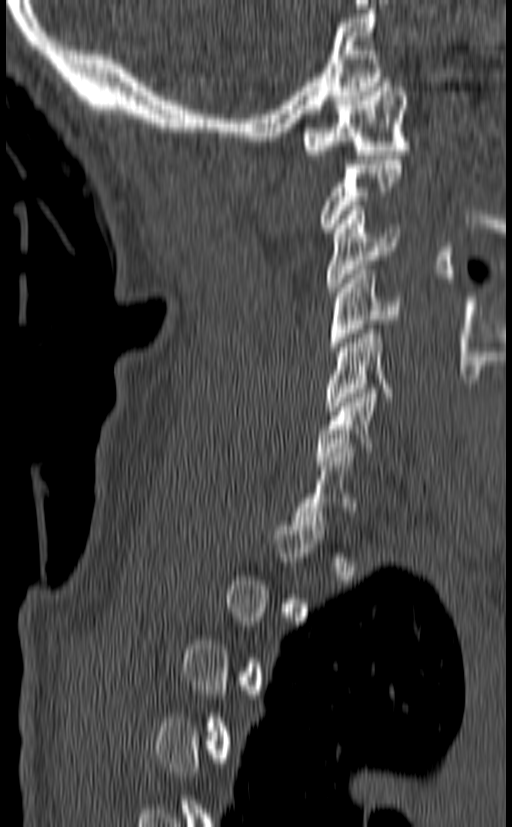
Spine CT — sagittal reformat — bone window

Box edges are left/top/right/bottom in pixels.
Each vertebra is boxed only on the slices from the first to the last where its cross-section reaches a third of its largest, so a slice outside that range leaves it unboxed.
| vertebra | x1 | y1 | x2 | y2 |
|---|---|---|---|---|
| C1 | 304 | 78 | 410 | 159 |
| C3 | 326 | 206 | 401 | 292 |
| C4 | 330 | 265 | 402 | 351 |
| C5 | 324 | 325 | 392 | 415 |
| C6 | 315 | 384 | 377 | 465 |